Spine computed tomography · sagittal plane, index 235 · bone window · scan covers 11 annotated vertebrae
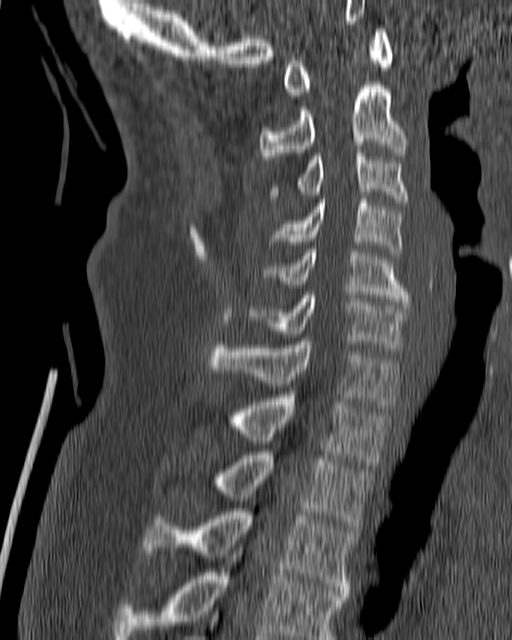
Each box given as x1,y1,x2,y2.
Vertebra bounding boxes:
- T4: x1=112, y1=548, x2=347, y2=639
- T3: x1=143, y1=508, x2=355, y2=593
- T2: x1=214, y1=452, x2=373, y2=532
- T1: x1=228, y1=395, x2=387, y2=465
- C7: x1=209, y1=338, x2=398, y2=408
- C6: x1=248, y1=292, x2=408, y2=347
- C5: x1=265, y1=249, x2=410, y2=305
- C4: x1=268, y1=196, x2=401, y2=255
- C3: x1=270, y1=149, x2=409, y2=205
- C2: x1=259, y1=82, x2=407, y2=159
- C1: x1=282, y1=28, x2=392, y2=95